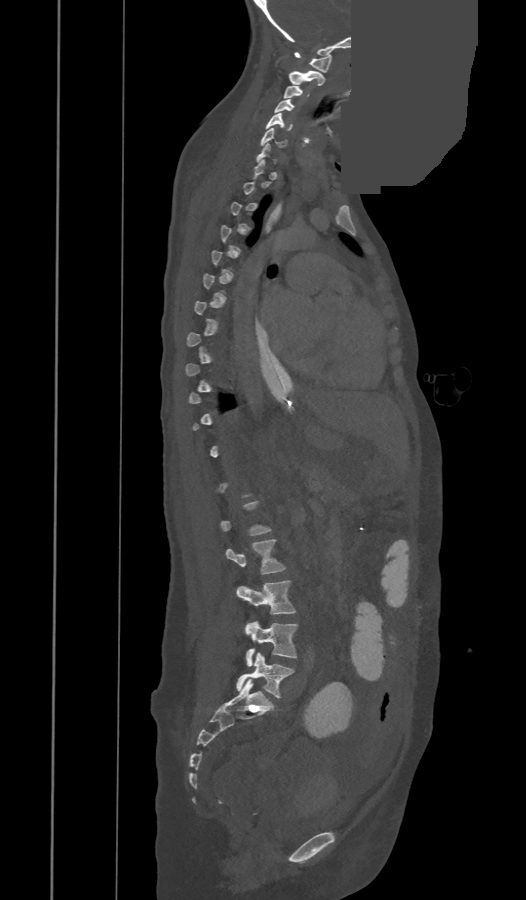
CT, spine · sagittal view · Bone window (WL 400, WW 1800) · part of the image is a flat gray fill, not anatomy
Boxes are (x1, y1, x2, y2) in pixels.
A vertebra gets a box only on the slices from the first to the last where its cross-section is at least a third of its largest; on a slice outside that range it gets none.
L5: (237, 652, 294, 698)
L4: (244, 621, 297, 666)
L3: (237, 580, 295, 614)
L2: (226, 539, 284, 574)
C7: (257, 143, 277, 162)
C6: (260, 128, 286, 147)
C5: (266, 113, 293, 130)
C4: (274, 99, 294, 112)
C3: (283, 86, 308, 99)
C2: (288, 70, 324, 86)
C1: (295, 52, 332, 72)